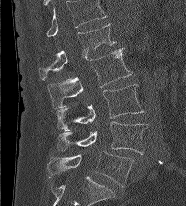
Computed tomography of the spine. sagittal view. 186x206 px. Coordinates as <box>x1,y1,x2,y2</box>. In this scan, the topmost labeled vertebra is L1 and the lowest is L5. Vertebrae labeled: L1 at <box>39,23,115,80</box>, L2 at <box>48,48,132,109</box>, L3 at <box>57,84,143,130</box>, L4 at <box>57,121,149,154</box>, L5 at <box>47,151,134,187</box>.